Spine computed tomography · Sagittal slice 231/512
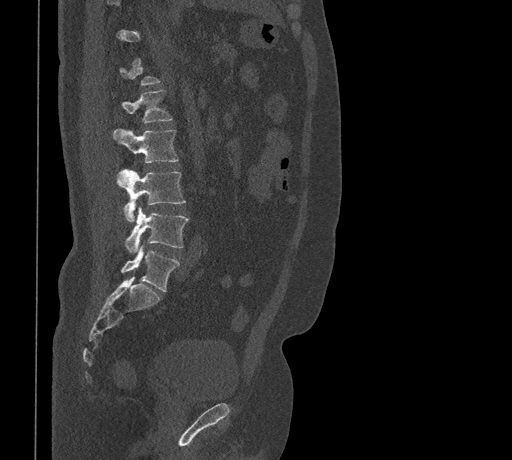 Boxes are (x1, y1, x2, y2) in pixels.
A vertebra is boxed only from the first to the last slice where its cross-section is at least a third of its largest; slices outside that range leave it without a box.
L1: (121, 90, 172, 122)
L2: (113, 128, 177, 162)
L3: (117, 168, 185, 221)
L4: (125, 207, 189, 252)
L5: (121, 247, 180, 291)